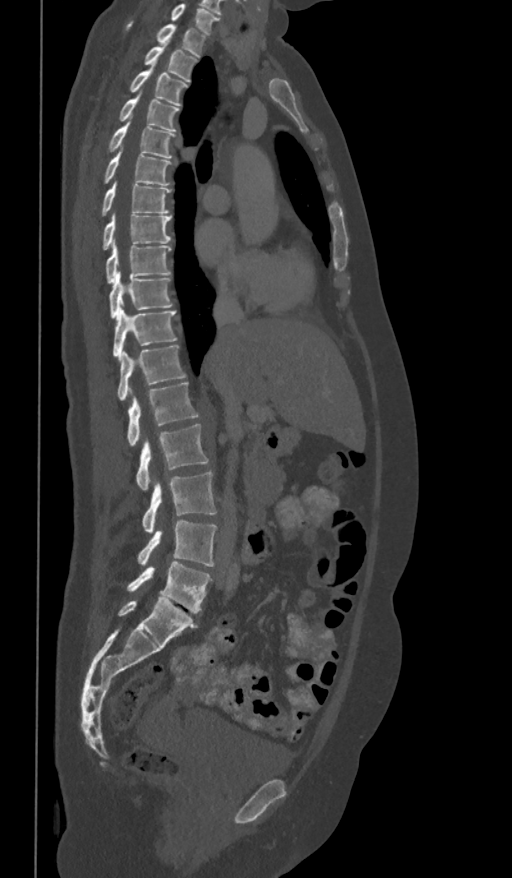

CT — sagittal reformat — Bone window (WL 400, WW 1800) — 512x878 px

Box edges are left/top/right/bottom in pixels. Labels in this scan begin with T1 at the top and end with L5 at the bottom. The labeled vertebrae in this slice are: T1 at left=126, top=22, right=206, bottom=56, T2 at left=144, top=42, right=197, bottom=82, T3 at left=129, top=68, right=187, bottom=106, T4 at left=119, top=93, right=179, bottom=132, T5 at left=108, top=120, right=176, bottom=159, T6 at left=103, top=149, right=173, bottom=185, T7 at left=102, top=180, right=170, bottom=216, T8 at left=102, top=213, right=170, bottom=249, T9 at left=106, top=240, right=170, bottom=284, T10 at left=109, top=272, right=172, bottom=318, T11 at left=113, top=304, right=177, bottom=360, T12 at left=118, top=345, right=186, bottom=401, L1 at left=127, top=382, right=199, bottom=446, L2 at left=136, top=425, right=209, bottom=490, L3 at left=142, top=471, right=217, bottom=533, L4 at left=137, top=520, right=217, bottom=566, L5 at left=126, top=562, right=212, bottom=612.